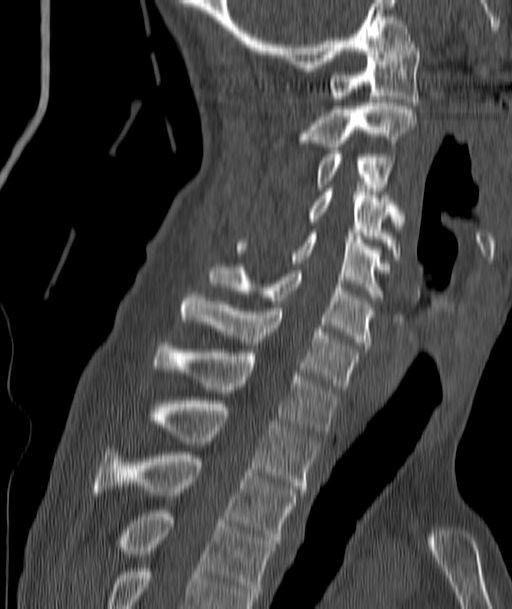

CT, spine — sagittal view — 512x609 px. Each box given as x1,y1,x2,y2.
| vertebra | x1 | y1 | x2 | y2 |
|---|---|---|---|---|
| C1 | 329 | 41 | 419 | 105 |
| C2 | 302 | 103 | 416 | 150 |
| C3 | 316 | 151 | 391 | 191 |
| C4 | 310 | 188 | 400 | 256 |
| C5 | 236 | 233 | 383 | 300 |
| C6 | 209 | 267 | 372 | 348 |
| C7 | 182 | 291 | 359 | 389 |
| T1 | 154 | 342 | 337 | 434 |
| T2 | 146 | 397 | 317 | 492 |
| T3 | 94 | 448 | 296 | 543 |
| T4 | 116 | 510 | 274 | 601 |